CT, spine; sagittal plane, index 76
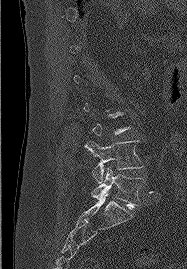
Bounding boxes as [x1, y1, x2, y2] in pixel coordinates.
A vertebra gets a box only on the slices from the first to the last where its cross-section is at least a third of its largest; on a slice outside that range it gets none.
L4: [85, 139, 143, 183]
L5: [92, 168, 144, 209]